Spine CT. Sagittal slice 281/512. bone-window reconstruction
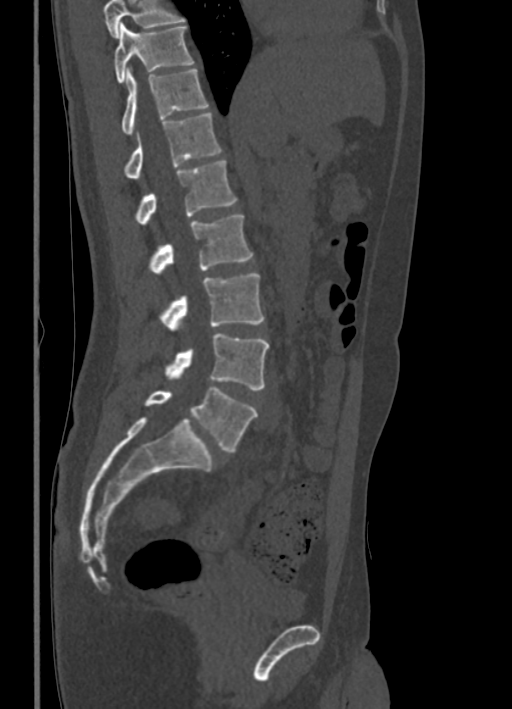
Bounding boxes as [x1, y1, x2, y2] in pixel coordinates. Vertebrae that run past the top of the scan are left unlabeled. The labeled vertebrae in this slice are: L5 at [145, 387, 258, 451], L4 at [164, 334, 269, 389], L3 at [158, 273, 264, 330], L2 at [148, 215, 253, 273], L1 at [134, 160, 237, 225], T12 at [123, 112, 221, 178], T11 at [122, 68, 208, 134], T10 at [114, 23, 194, 83].